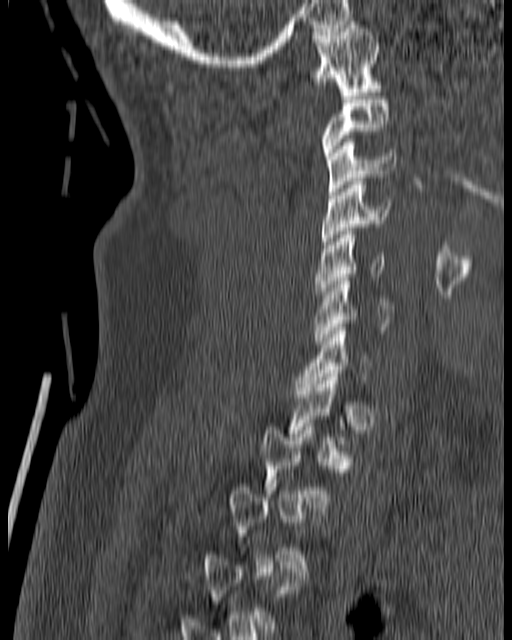
Spine CT. sagittal view. bone-window reconstruction. image width 180 mm. 512x640 px
Boxes below are [x1, y1, x2, y2] in pixels.
Not every vertebra on this slice has a box: a vertebra is boxed only from the first to the last slice where its cross-section is at least a third of its largest, and this slice is outside that range for at least one of them.
{"vertebrae":{"C1":[309,21,383,95],"C2":[319,96,389,159],"C3":[327,139,395,195],"C4":[322,178,391,248],"C5":[314,231,387,294],"C6":[314,277,394,344]}}